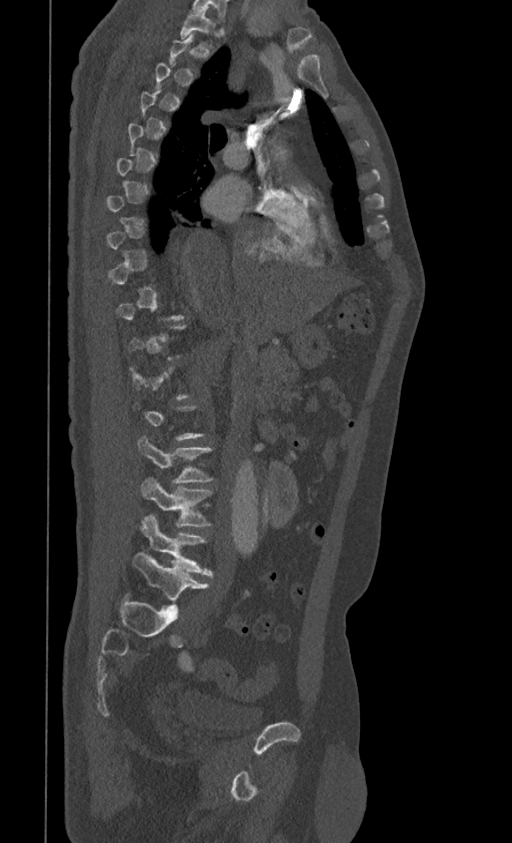 CT — the image spans 399 mm across — sagittal reformat
Each vertebra maps to its box as [x1, y1, x2, y2], the pixel coordinates of its top-left and bottom-right corners.
Not every vertebra on this slice has a box: a vertebra is boxed only from the first to the last slice where its cross-section is at least a third of its largest, and this slice is outside that range for at least one of them.
{"vertebrae":{"L5":[132,552,209,610],"L4":[141,515,212,575],"L3":[141,477,212,527],"L2":[137,437,213,483],"T1":[181,10,216,48]}}